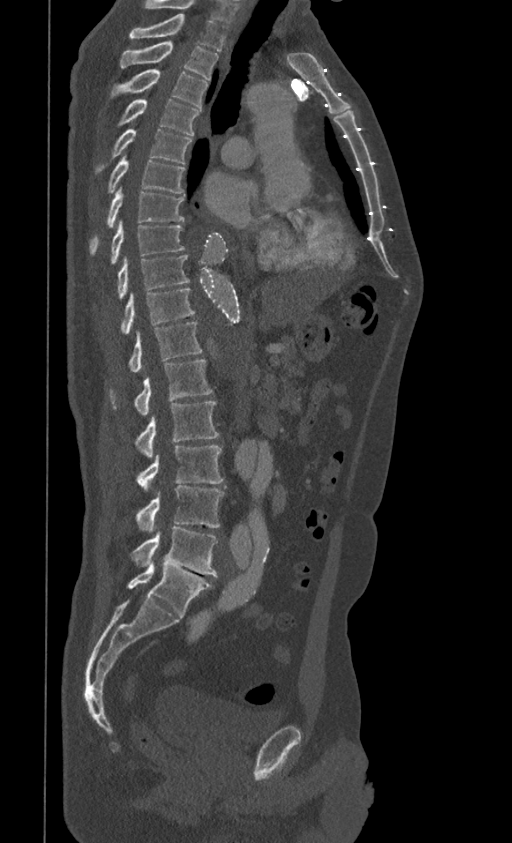 Spine computed tomography; sagittal view; 399 mm wide
Boxes below are [x1, y1, x2, y2] in pixels.
Labels in this scan begin with T1 at the top and end with L5 at the bottom.
{"vertebrae":{"T1":[129,14,227,50],"T2":[119,42,219,80],"T3":[111,69,208,108],"T4":[119,99,199,136],"T5":[96,128,191,171],"T6":[108,155,185,193],"T7":[90,186,184,254],"T8":[110,219,184,263],"T9":[118,254,189,298],"T10":[120,288,195,334],"T11":[128,322,202,372],"T12":[109,359,212,415],"L1":[136,401,218,457],"L2":[137,446,223,492],"L3":[136,485,225,533],"L4":[131,527,217,576],"L5":[128,561,212,616]}}